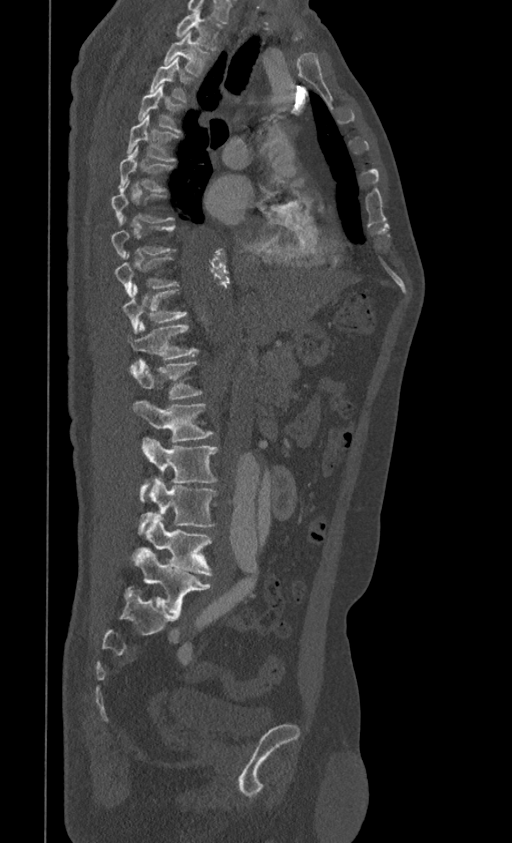 Computed tomography of the spine; sagittal view
Bounding boxes as [x1, y1, x2, y2] in pixel coordinates.
T1: [175, 9, 222, 50]
T2: [163, 31, 211, 75]
T3: [150, 58, 194, 102]
T4: [137, 84, 185, 133]
T5: [127, 114, 180, 161]
T6: [118, 146, 175, 192]
T7: [111, 180, 173, 223]
T8: [111, 216, 176, 258]
T9: [114, 252, 179, 297]
T10: [123, 284, 187, 333]
T11: [128, 321, 198, 370]
T12: [129, 359, 203, 400]
L1: [133, 401, 214, 441]
L2: [140, 438, 218, 500]
L3: [139, 477, 217, 531]
L4: [132, 516, 212, 575]
L5: [123, 547, 211, 613]